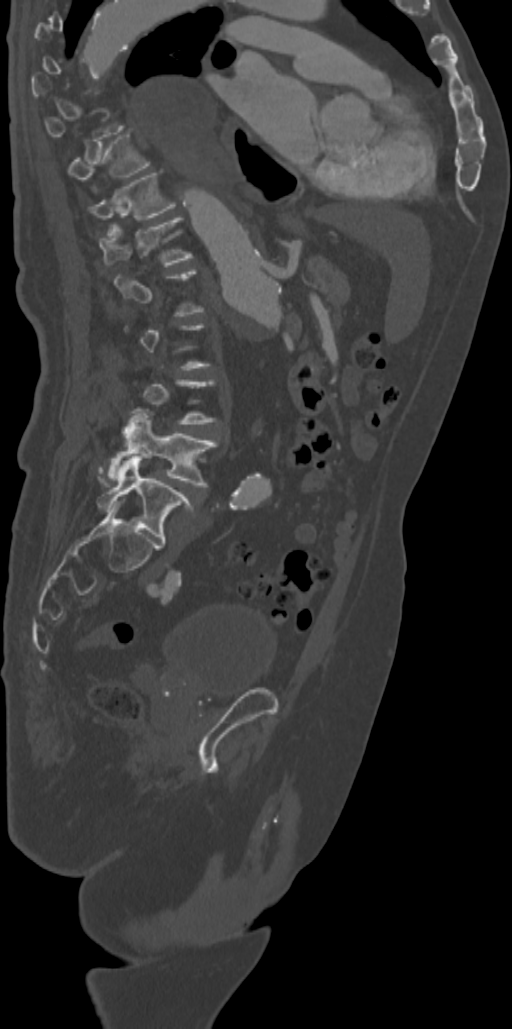

CT; sagittal view; W/L 1800/400 HU
Boxes: x1 y1 x2 y2 (pixel coords, space-separated).
A vertebra gets a box only on the slices from the first to the last where its cross-section is at least a third of its largest; on a slice outside that range it gets none.
T10: 69 133 150 179
T11: 88 171 174 219
T12: 100 216 192 264
L4: 99 411 217 486
L5: 97 456 193 545